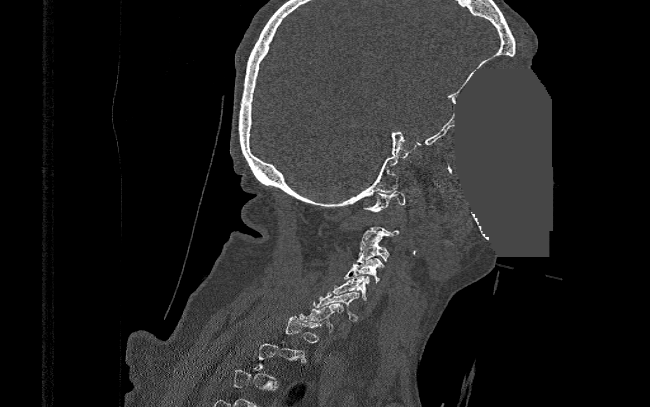

Computed tomography of the spine — sagittal view — bone-window reconstruction — 390 mm image width — a region of this slice is masked with a uniform fill
A vertebra gets a box only on the slices from the first to the last where its cross-section is at least a third of its largest; on a slice outside that range it gets none.
<vertebrae><v name="C1" x1="363" y1="191" x2="404" y2="211"/><v name="C3" x1="357" y1="241" x2="389" y2="262"/><v name="C4" x1="344" y1="258" x2="384" y2="283"/><v name="C5" x1="333" y1="276" x2="370" y2="300"/><v name="C6" x1="314" y1="292" x2="360" y2="319"/><v name="C7" x1="300" y1="303" x2="344" y2="331"/></vertebrae>